CT, spine; sagittal reformat; W/L 1800/400 HU; 152x195 px; 6 vertebrae labeled in this scan
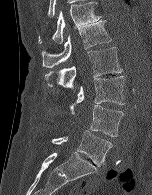
Box edges are left/top/right/bottom in pixels. 6 vertebrae labeled — T12 at left=38, top=1, right=101, bottom=43; L1 at left=42, top=20, right=112, bottom=67; L2 at left=45, top=47, right=122, bottom=92; L3 at left=69, top=76, right=125, bottom=113; L4 at left=90, top=105, right=124, bottom=136; L5 at left=51, top=130, right=112, bottom=166.